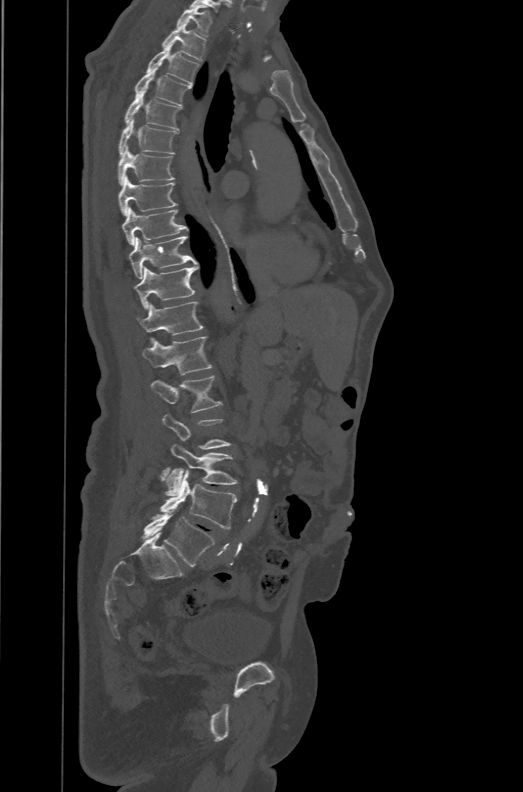
Spine computed tomography; sagittal view; 523x792 px; the image is 471 mm wide

Each box given as x1,y1,x2,y2.
Each vertebra is boxed only on the slices from the first to the last where its cross-section reaches a third of its largest, so a slice outside that range leaves it unboxed.
In these labels the spine has an L6, a sixth lumbar vertebra below L5.
| vertebra | x1 | y1 | x2 | y2 |
|---|---|---|---|---|
| L6 | 141 | 511 | 215 | 567 |
| L5 | 159 | 467 | 237 | 529 |
| L4 | 165 | 444 | 237 | 496 |
| L2 | 150 | 375 | 221 | 412 |
| L1 | 142 | 336 | 212 | 374 |
| T12 | 136 | 301 | 202 | 340 |
| T11 | 133 | 266 | 198 | 308 |
| T10 | 129 | 235 | 197 | 279 |
| T9 | 122 | 206 | 188 | 246 |
| T8 | 118 | 176 | 177 | 215 |
| T7 | 118 | 145 | 175 | 184 |
| T6 | 119 | 119 | 178 | 155 |
| T5 | 124 | 92 | 181 | 130 |
| T4 | 134 | 68 | 191 | 105 |
| T3 | 146 | 42 | 199 | 85 |
| T2 | 163 | 24 | 206 | 60 |
| T1 | 176 | 5 | 212 | 36 |